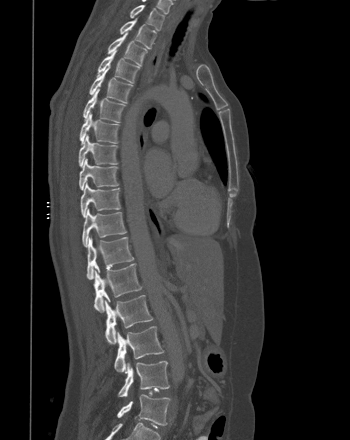
CT — sagittal view — 350x440 px
<vertebrae><v name="L5" x1="117" y1="394" x2="170" y2="425"/><v name="L4" x1="118" y1="361" x2="169" y2="397"/><v name="L3" x1="114" y1="326" x2="163" y2="372"/><v name="L2" x1="104" y1="295" x2="153" y2="344"/><v name="L1" x1="93" y1="263" x2="142" y2="312"/><v name="T12" x1="87" y1="236" x2="133" y2="279"/><v name="T11" x1="82" y1="208" x2="126" y2="247"/><v name="T10" x1="80" y1="182" x2="120" y2="217"/><v name="T9" x1="79" y1="158" x2="118" y2="190"/><v name="T8" x1="78" y1="134" x2="117" y2="167"/><v name="T7" x1="79" y1="111" x2="119" y2="143"/><v name="T6" x1="83" y1="89" x2="125" y2="122"/><v name="T5" x1="89" y1="68" x2="132" y2="102"/><v name="T4" x1="97" y1="49" x2="139" y2="82"/><v name="T3" x1="108" y1="32" x2="147" y2="65"/><v name="T2" x1="119" y1="18" x2="156" y2="48"/><v name="T1" x1="130" y1="5" x2="164" y2="30"/></vertebrae>